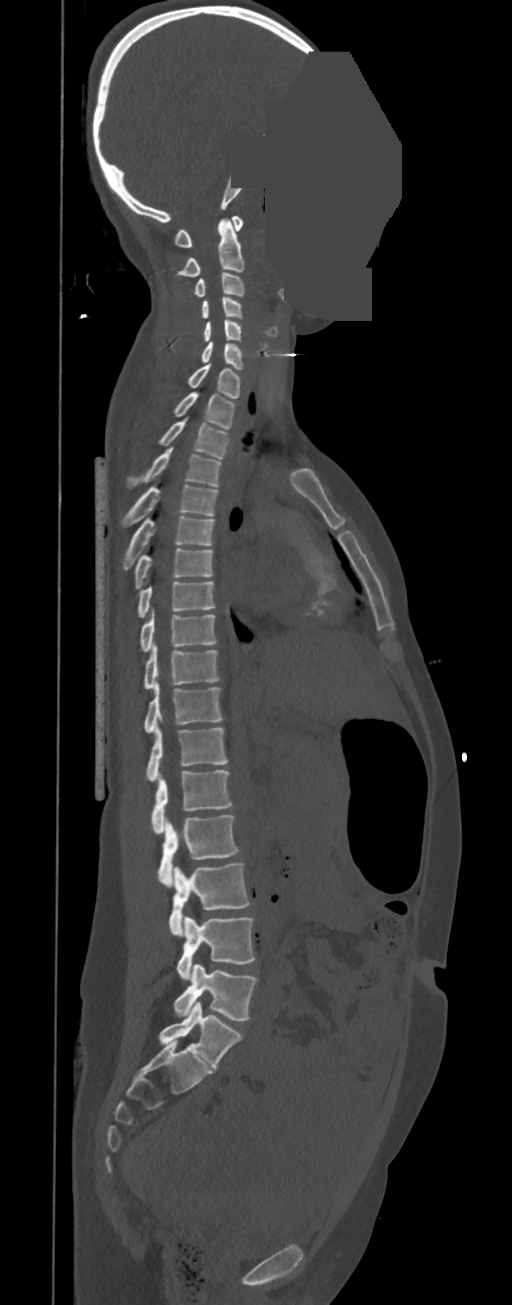
Spine CT — sagittal view — Bone window (WL 400, WW 1800) — a portion of the image is blanked out (constant pixel value)
Box edges are left/top/right/bottom in pixels.
These labels give this spine no T12: after T11 the next vertebra is L1.
Vertebra bounding boxes:
- L5: left=174, top=964, right=258, bottom=1019
- L4: left=177, top=916, right=255, bottom=979
- L3: left=169, top=862, right=250, bottom=936
- L2: left=158, top=815, right=239, bottom=886
- L1: left=150, top=769, right=233, bottom=834
- T11: left=146, top=725, right=227, bottom=781
- T10: left=143, top=683, right=223, bottom=734
- T9: left=143, top=644, right=220, bottom=689
- T8: left=140, top=611, right=217, bottom=652
- T7: left=137, top=582, right=215, bottom=618
- T6: left=134, top=548, right=212, bottom=589
- T5: left=123, top=516, right=214, bottom=569
- T4: left=122, top=484, right=217, bottom=527
- T3: left=127, top=448, right=221, bottom=487
- T2: left=159, top=416, right=228, bottom=458
- T1: left=174, top=392, right=234, bottom=430
- C7: left=188, top=363, right=240, bottom=398
- C6: left=202, top=341, right=243, bottom=369
- C5: left=203, top=319, right=242, bottom=341
- C4: left=202, top=296, right=242, bottom=318
- C3: left=194, top=273, right=244, bottom=297
- C2: left=178, top=217, right=243, bottom=275
- C1: left=174, top=216, right=243, bottom=247